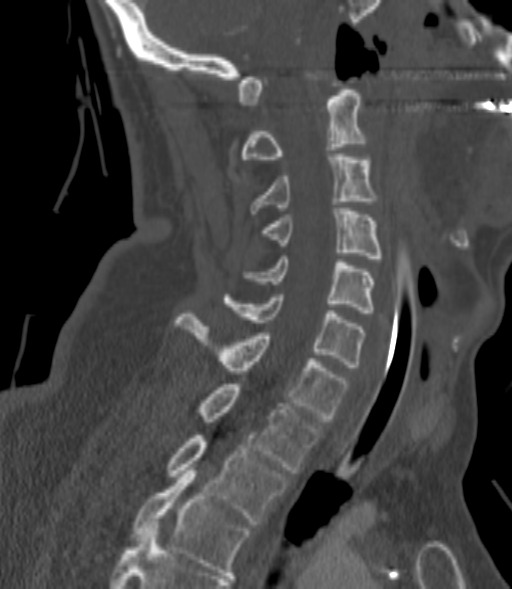 CT spine — sagittal view — 200 mm image width
Bounding boxes as [x1, y1, x2, y2] in pixel coordinates.
Not every vertebra on this slice has a box: a vertebra is boxed only from the first to the last slice where its cross-section is at least a third of its largest, and this slice is outside that range for at least one of them.
T3: [131, 470, 251, 575]
T2: [167, 435, 287, 524]
T1: [195, 384, 320, 473]
C7: [175, 314, 348, 421]
C6: [224, 294, 363, 367]
C5: [244, 256, 374, 313]
C4: [262, 208, 381, 261]
C3: [250, 154, 374, 213]
C2: [241, 90, 363, 159]